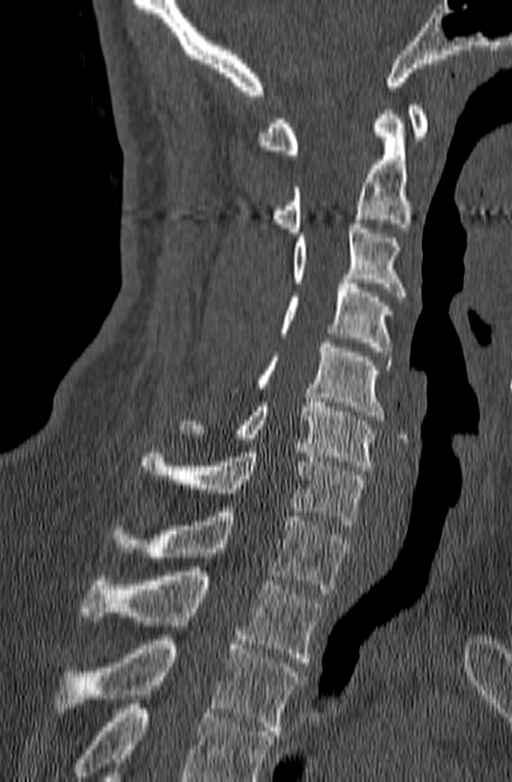 CT, spine; sagittal view; bone-window reconstruction

Bounding boxes as [x1, y1, x2, y2] in pixel coordinates. Vertebrae that run past the bottom of the scan are left unlabeled. 10 vertebrae labeled — C1 at [257, 105, 427, 154]; C2 at [272, 110, 410, 232]; C3 at [293, 219, 406, 301]; C4 at [279, 279, 392, 351]; C5 at [256, 338, 392, 420]; C6 at [179, 398, 377, 470]; C7 at [138, 448, 366, 529]; T1 at [111, 507, 351, 593]; T2 at [81, 571, 322, 662]; T3 at [55, 640, 305, 735].